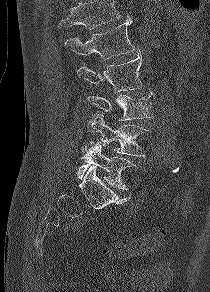
CT; sagittal reformat; Bone window (WL 400, WW 1800); 210x292 px; 210 mm image width
Boxes: x1 y1 x2 y2 (pixel coords, space-separated). Where the top of the scan cuts through a vertebra, that vertebra gets no label or box. Vertebrae labeled: L5 at 75 144 137 189, L4 at 88 115 150 157, L3 at 87 91 153 120, L2 at 77 52 142 92, L1 at 65 17 134 60.